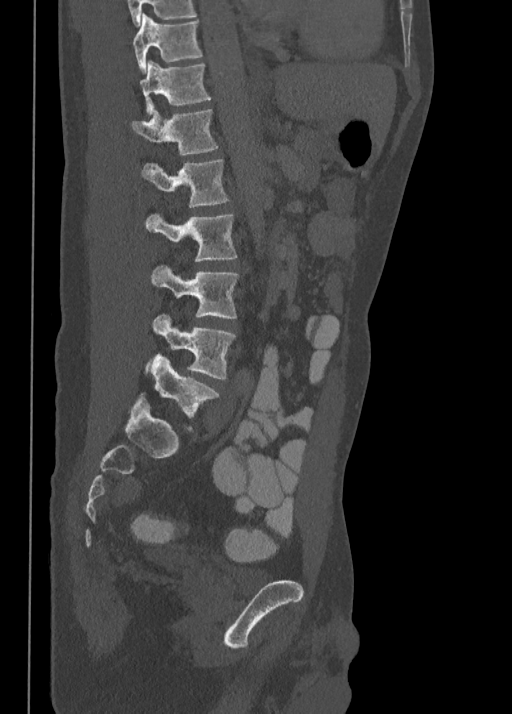
CT spine · sagittal view · 512x714 px · image 350 mm wide

Boxes: x1 y1 x2 y2 (pixel coords, space-separated).
Vertebra bounding boxes:
- T10: 133 13 202 71
- T11: 140 61 211 115
- T12: 131 109 218 156
- L1: 142 159 228 207
- L2: 146 212 237 261
- L3: 150 265 239 318
- L4: 153 315 236 379
- L5: 139 354 218 431